Computed tomography of the spine · sagittal reformat · W/L 1800/400 HU · scan covers 14 annotated vertebrae
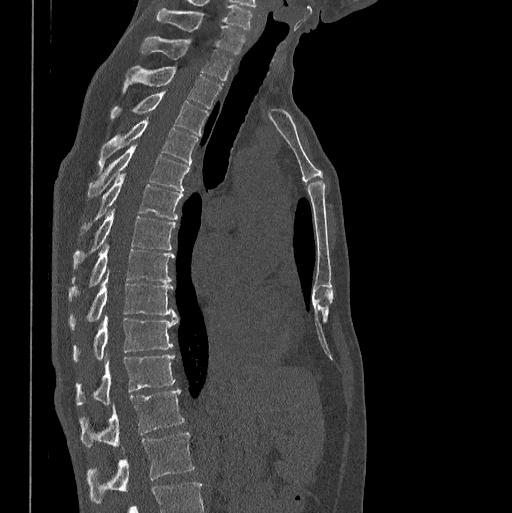 Each box given as x1,y1,x2,y2.
C7: x1=157, y1=8, x2=245, y2=53
T1: x1=141, y1=37, x2=233, y2=81
T2: x1=122, y1=65, x2=221, y2=108
T3: x1=110, y1=93, x2=209, y2=134
T4: x1=99, y1=119, x2=197, y2=172
T5: x1=87, y1=145, x2=189, y2=199
T6: x1=80, y1=174, x2=183, y2=235
T7: x1=73, y1=210, x2=175, y2=269
T8: x1=68, y1=244, x2=174, y2=300
T9: x1=68, y1=272, x2=176, y2=328
T10: x1=73, y1=316, x2=178, y2=361
T11: x1=76, y1=354, x2=175, y2=405
T12: x1=80, y1=389, x2=184, y2=446
L1: x1=87, y1=432, x2=194, y2=503